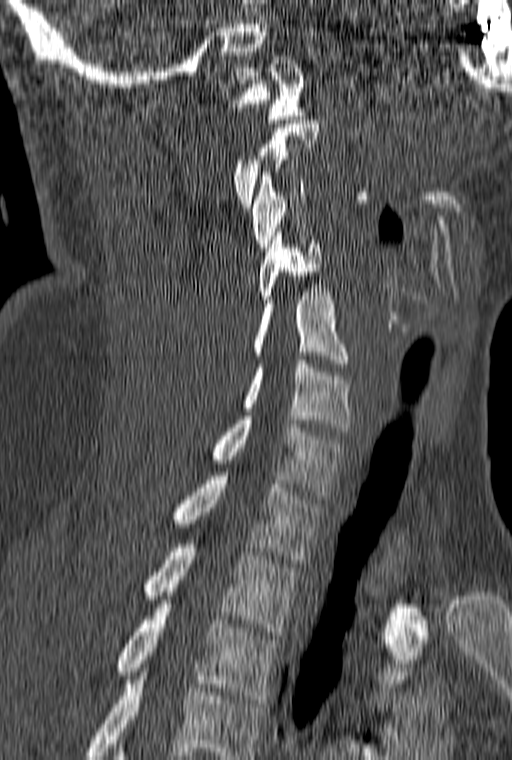
CT, spine; sagittal view; Bone window (WL 400, WW 1800)

Boxes: x1 y1 x2 y2 (pixel coords, space-separated).
Each vertebra is boxed only on the slices from the first to the last where its cross-section reaches a third of its largest, so a slice outside that range leaves it unboxed.
This scan's labels start at C1 at the top and end at T3 at the bottom.
Vertebra bounding boxes:
- C1: 232 56 305 123
- C3: 252 172 306 251
- C4: 259 228 320 303
- C5: 253 288 349 367
- C6: 242 356 352 431
- C7: 212 416 346 495
- T1: 174 472 326 563
- T2: 145 540 298 635
- T3: 116 604 279 703